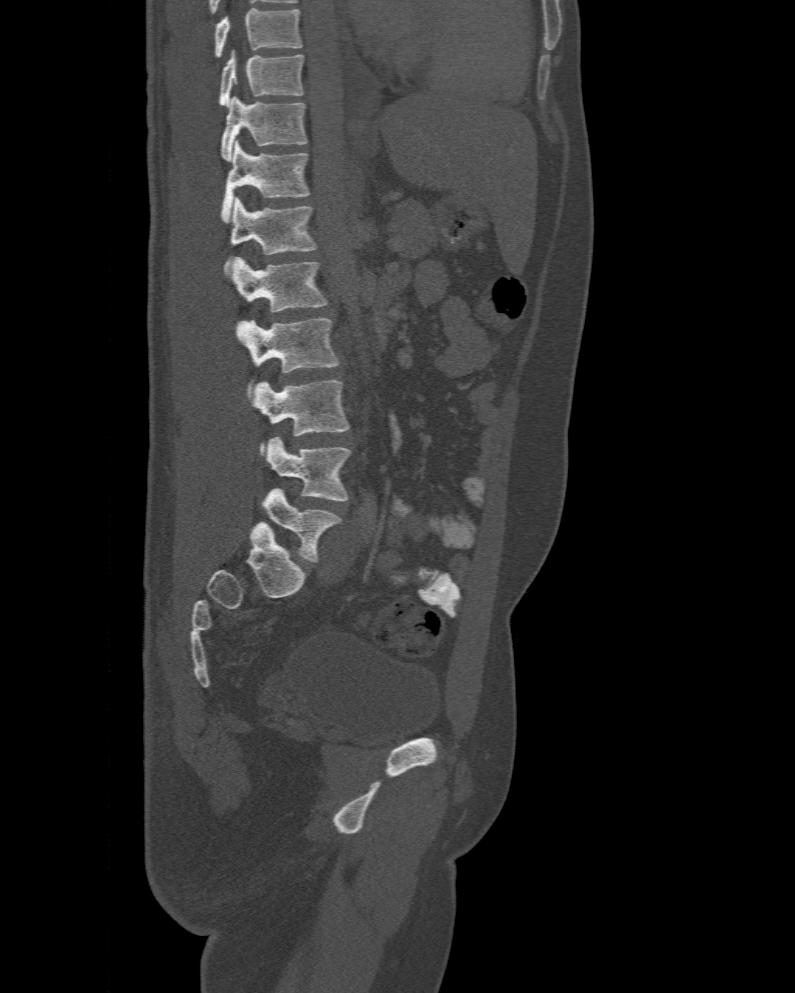
CT, spine · sagittal view · image 477 mm wide · bone window. Bounding boxes as [x1, y1, x2, y2] in pixel coordinates.
The highest labeled vertebra in this scan is T10; the lowest is L6.
The labels name a sixth lumbar vertebra for this spine: L6, after L5.
Vertebra bounding boxes:
- T10: [219, 52, 303, 106]
- T11: [220, 97, 308, 161]
- T12: [220, 140, 310, 223]
- L1: [224, 197, 317, 272]
- L2: [227, 257, 327, 312]
- L3: [236, 318, 339, 397]
- L4: [253, 380, 348, 454]
- L5: [267, 437, 350, 501]
- L6: [262, 488, 341, 562]